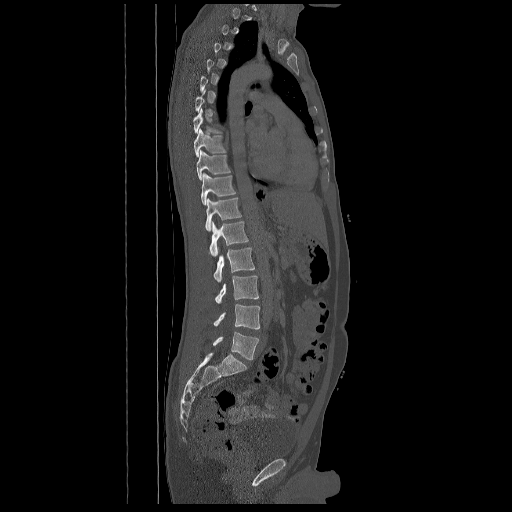
CT spine · sagittal view · bone-window reconstruction · 512x512 px
A vertebra is boxed only from the first to the last slice where its cross-section is at least a third of its largest; slices outside that range leave it without a box.
<vertebrae><v name="T8" x1="193" y1="108" x2="221" y2="133"/><v name="T9" x1="193" y1="129" x2="226" y2="157"/><v name="T10" x1="196" y1="150" x2="230" y2="180"/><v name="T11" x1="201" y1="173" x2="235" y2="205"/><v name="T12" x1="205" y1="197" x2="241" y2="231"/><v name="L1" x1="209" y1="221" x2="248" y2="256"/><v name="L2" x1="213" y1="248" x2="254" y2="282"/><v name="L3" x1="215" y1="276" x2="259" y2="303"/><v name="L4" x1="213" y1="304" x2="259" y2="329"/><v name="L5" x1="212" y1="331" x2="259" y2="359"/></vertebrae>